Spine computed tomography. sagittal view. Bone window (WL 400, WW 1800). 317 mm image width. 317x559 px
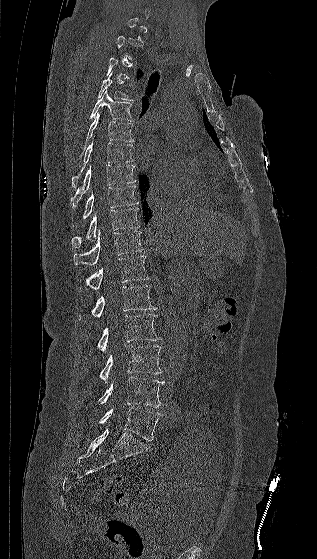 Each box given as x1,y1,x2,y2.
A vertebra gets a box only on the slices from the first to the last where its cross-section is at least a third of its largest; on a slice outside that range it gets none.
Vertebra bounding boxes:
- T4: x1=97, y1=73, x2=132, y2=100
- T5: x1=89, y1=90, x2=133, y2=121
- T6: x1=84, y1=112, x2=133, y2=148
- T7: x1=72, y1=135, x2=133, y2=188
- T8: x1=70, y1=164, x2=136, y2=207
- T9: x1=82, y1=185, x2=138, y2=219
- T10: x1=71, y1=208, x2=139, y2=247
- T11: x1=73, y1=230, x2=143, y2=266
- T12: x1=79, y1=255, x2=149, y2=292
- L1: x1=76, y1=285, x2=157, y2=321
- L2: x1=97, y1=314, x2=161, y2=351
- L3: x1=99, y1=345, x2=162, y2=382
- L4: x1=98, y1=376, x2=164, y2=407
- L5: x1=99, y1=407, x2=162, y2=440